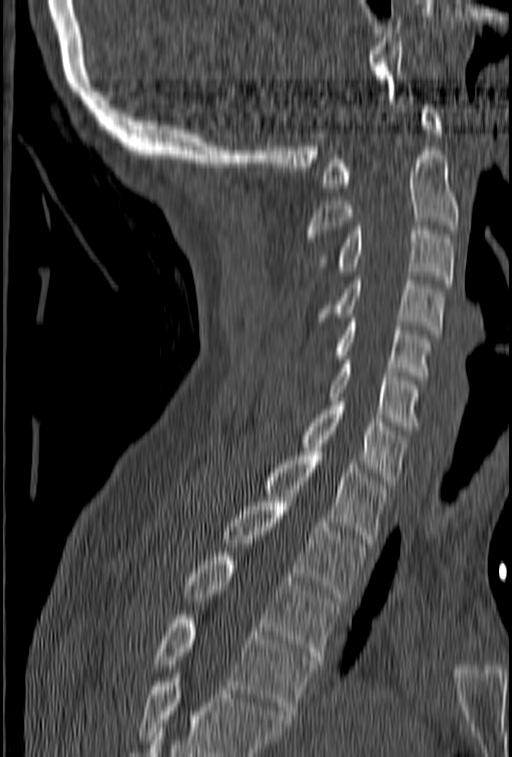 Spine computed tomography — sagittal view — bone window — 512x757 px
Boxes below are [x1, y1, x2, y2] in pixels.
Where the bottom of the scan cuts through a vertebra, that vertebra gets no label or box.
{"vertebrae":{"T4":[152,615,318,714],"T3":[185,552,338,660],"T2":[224,498,367,597],"T1":[264,452,386,543],"C7":[301,397,408,488],"C6":[328,360,419,430],"C5":[336,314,432,380],"C4":[317,276,445,334],"C3":[317,226,454,283],"C2":[305,151,459,237],"C1":[322,105,442,187]}}